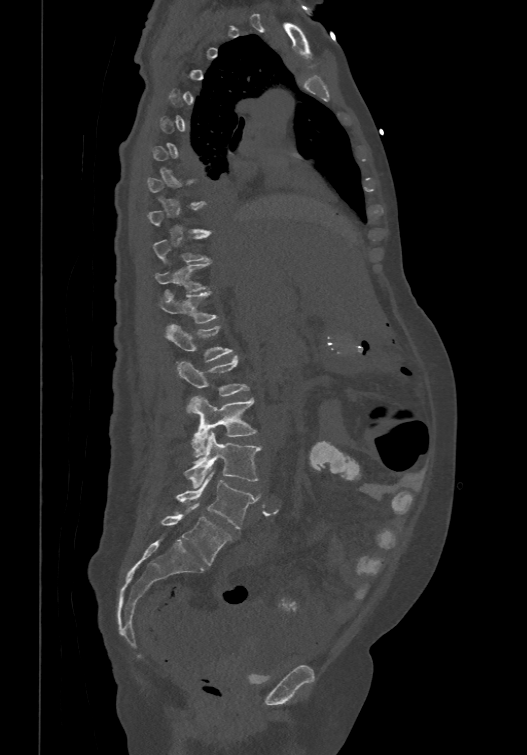 Spine computed tomography. sagittal reformat. 527x755 px
A vertebra is boxed only from the first to the last slice where its cross-section is at least a third of its largest; slices outside that range leave it without a box.
In these labels the spine has an L6, a sixth lumbar vertebra below L5.
<vertebrae><v name="L6" x1="160" y1="503" x2="231" y2="565"/><v name="L5" x1="176" y1="474" x2="257" y2="528"/><v name="L4" x1="184" y1="432" x2="261" y2="487"/><v name="L3" x1="188" y1="396" x2="257" y2="457"/><v name="L2" x1="178" y1="355" x2="249" y2="413"/><v name="L1" x1="166" y1="323" x2="233" y2="361"/><v name="T12" x1="157" y1="288" x2="218" y2="323"/><v name="T11" x1="155" y1="260" x2="211" y2="291"/><v name="T10" x1="153" y1="232" x2="211" y2="262"/></vertebrae>